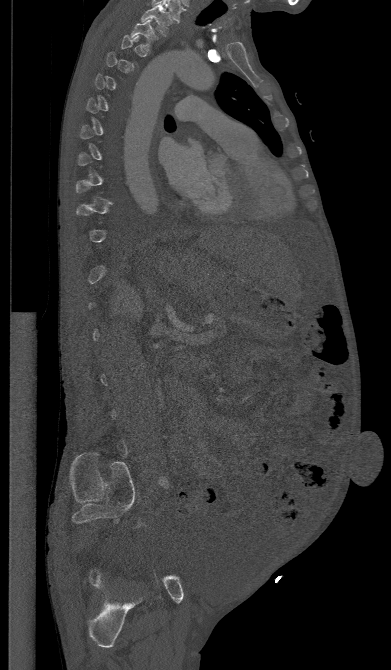
Computed tomography of the spine · sagittal reformat · W/L 1800/400 HU
In the table, x1 and y1 are a box's top-left corner and x2 and y2 its bottom-right corner, in pixels.
A vertebra is boxed only from the first to the last slice where its cross-section is at least a third of its largest; slices outside that range leave it without a box.
| vertebra | x1 | y1 | x2 | y2 |
|---|---|---|---|---|
| T1 | 141 | 5 | 172 | 36 |
| T2 | 130 | 18 | 158 | 50 |